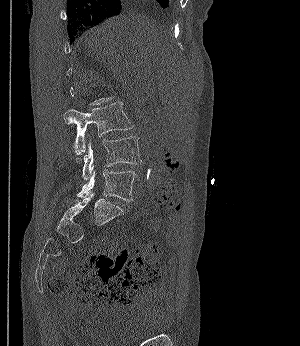 CT. sagittal view. the image is 300 mm wide. W/L 1800/400 HU
A vertebra is boxed only from the first to the last slice where its cross-section is at least a third of its largest; slices outside that range leave it without a box.
<vertebrae><v name="L3" x1="64" y1="102" x2="132" y2="156"/><v name="L4" x1="82" y1="136" x2="141" y2="180"/><v name="L5" x1="77" y1="169" x2="137" y2="201"/></vertebrae>